CT, spine — 146 mm image width — sagittal reformat
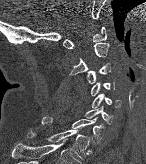

<vertebrae><v name="C1" x1="63" y1="26" x2="106" y2="48"/><v name="C2" x1="69" y1="43" x2="109" y2="75"/><v name="C3" x1="85" y1="63" x2="110" y2="83"/><v name="C4" x1="90" y1="82" x2="114" y2="95"/><v name="C5" x1="91" y1="94" x2="121" y2="108"/><v name="C6" x1="85" y1="106" x2="112" y2="124"/><v name="C7" x1="41" y1="116" x2="105" y2="144"/><v name="T1" x1="27" y1="127" x2="89" y2="160"/></vertebrae>